CT spine; image width 187 mm; sagittal view
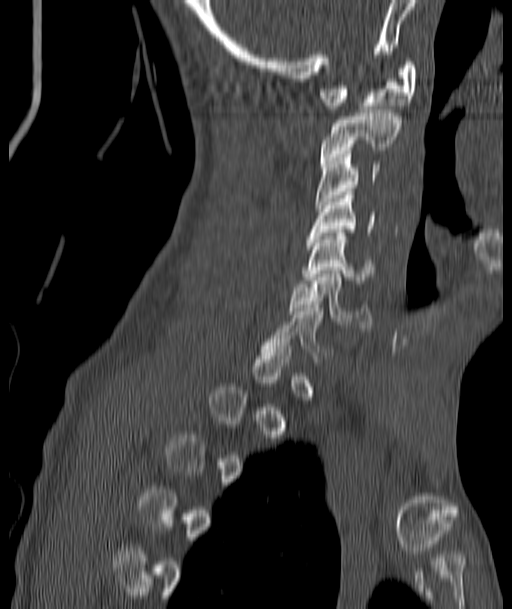
Box values are [left, top, right, bottom] in pixels.
A vertebra gets a box only on the slices from the first to the last where its cross-section is at least a third of its largest; on a slice outside that range it gets none.
{"vertebrae":{"C1":[321,62,416,109],"C2":[321,110,400,163],"C3":[316,151,378,208],"C4":[308,192,375,239],"C5":[305,229,374,286],"C6":[288,270,371,328]}}